CT, spine. sagittal view. W/L 1800/400 HU. the image spans 191 mm across. 191x345 px
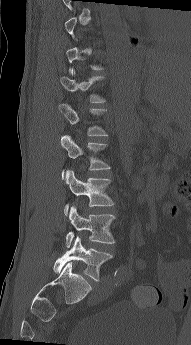

Box edges are left/top/right/bottom in pixels.
Not every vertebra on this slice has a box: a vertebra is boxed only from the first to the last slice where its cross-section is at least a third of its largest, and this slice is outside that range for at least one of them.
Vertebra bounding boxes:
- L1: left=59, top=104, right=108, bottom=136
- L2: left=60, top=135, right=110, bottom=179
- L3: left=64, top=170, right=114, bottom=215
- L4: left=66, top=206, right=115, bottom=248
- L5: left=53, top=236, right=112, bottom=281